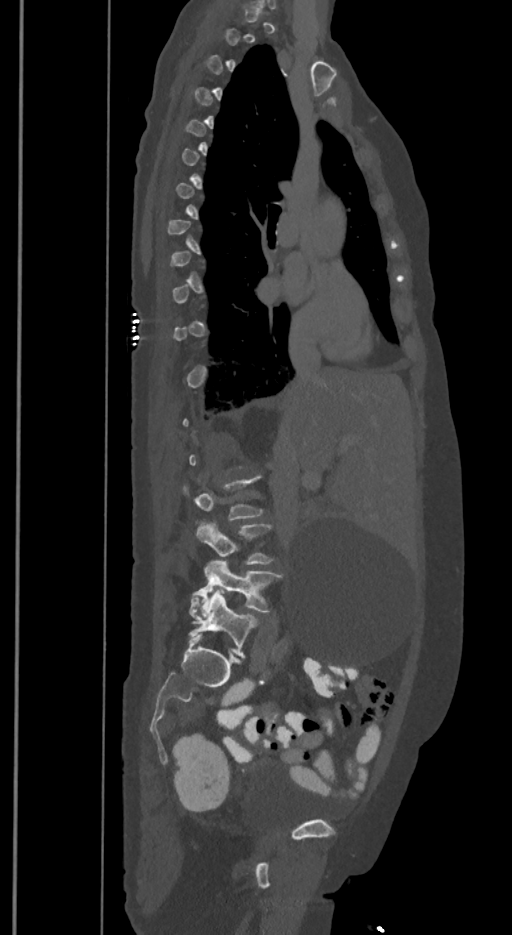
CT; sagittal view; bone window; 350 mm wide; 512x935 px. Boxes: x1 y1 x2 y2 (pixel coords, space-separated). Each vertebra is boxed only on the slices from the first to the last where its cross-section reaches a third of its largest, so a slice outside that range leaves it unboxed. The labels name a sixth lumbar vertebra for this spine: L6, after L5. Vertebrae labeled: L4 at 196 523 272 564, L5 at 192 561 281 615, L6 at 189 589 256 657.